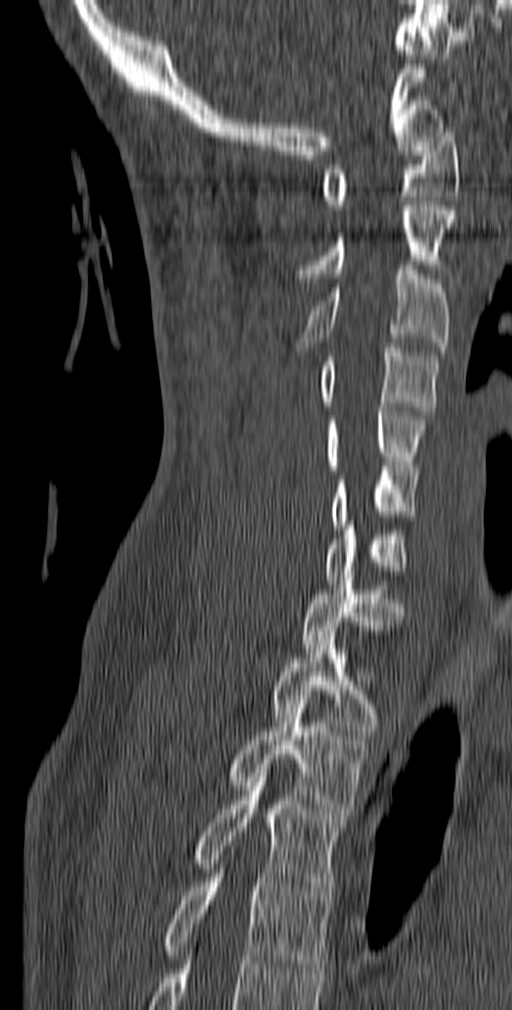

CT spine. sagittal reformat
<vertebrae><v name="C1" x1="320" y1="128" x2="459" y2="209"/><v name="C2" x1="294" y1="201" x2="455" y2="282"/><v name="C3" x1="297" y1="265" x2="450" y2="356"/><v name="C4" x1="320" y1="343" x2="439" y2="415"/><v name="C5" x1="326" y1="407" x2="425" y2="474"/><v name="C6" x1="330" y1="466" x2="417" y2="529"/><v name="C7" x1="326" y1="521" x2="407" y2="584"/><v name="T1" x1="302" y1="576" x2="404" y2="653"/><v name="T2" x1="272" y1="631" x2="381" y2="735"/><v name="T3" x1="228" y1="695" x2="368" y2="817"/><v name="T4" x1="195" y1="773" x2="345" y2="900"/><v name="T5" x1="162" y1="855" x2="332" y2="973"/></vertebrae>